CT, spine. sagittal view
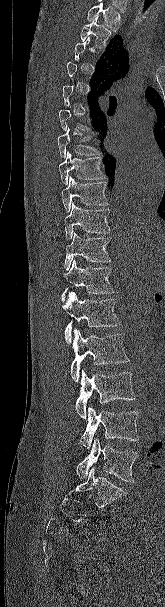
Bounding boxes as [x1, y1, x2, y2] in pixel coordinates.
Each vertebra is boxed only on the slices from the first to the last where its cross-section reaches a third of its largest, so a slice outside that range leaves it unboxed.
Where the top of the scan cuts through a vertebra, that vertebra gets no label or box.
Vertebra bounding boxes:
- T2: [80, 17, 111, 48]
- T7: [57, 127, 100, 158]
- T8: [59, 151, 106, 184]
- T9: [61, 176, 108, 212]
- T10: [64, 202, 110, 239]
- T11: [64, 231, 111, 270]
- T12: [61, 260, 115, 301]
- L1: [61, 292, 121, 343]
- L2: [70, 329, 129, 382]
- L3: [75, 369, 135, 419]
- L4: [79, 406, 138, 449]
- L5: [76, 439, 138, 482]